Spine computed tomography; Sagittal slice 221/417; scan covers 17 annotated vertebrae
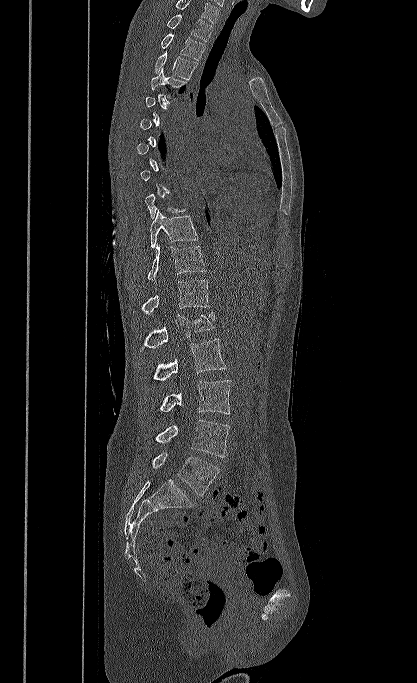
Boxes: x1 y1 x2 y2 (pixel coords, space-separated). Each vertebra is boxed only on the slices from the first to the last where its cross-section reaches a third of its largest, so a slice outside that range leaves it unboxed. Labels in this scan begin with T1 at the top and end with L5 at the bottom. The labeled vertebrae in this slice are: T1 at 166 14 212 41, T2 at 161 34 205 60, T3 at 155 51 197 80, T4 at 151 67 187 97, T10 at 151 210 198 247, T11 at 147 243 206 280, T12 at 133 280 209 314, L1 at 139 313 214 351, L2 at 152 338 226 381, L3 at 159 380 231 414, L4 at 154 420 229 457, L5 at 151 453 219 495.